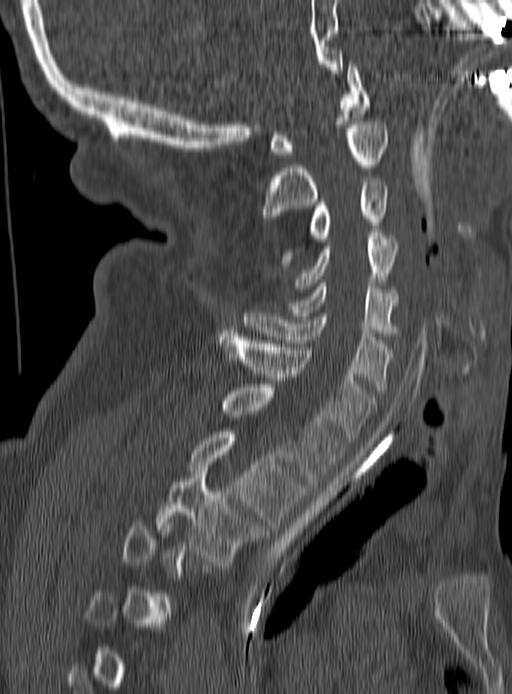 CT spine — sagittal reformat — Bone window (WL 400, WW 1800) — 512x694 px
Box values are [left, top, right, bottom] in pixels.
Not every vertebra on this slice has a box: a vertebra is boxed only from the first to the last slice where its cross-section is at least a third of its largest, and this slice is outside that range for at least one of them.
{"vertebrae":{"C1":[270,64,369,154],"C2":[262,121,388,221],"C3":[280,182,388,265],"C4":[295,232,399,289],"C5":[289,283,396,336],"C6":[243,310,393,390],"C7":[217,333,377,440],"T1":[222,384,342,484],"T2":[189,431,304,528],"T3":[157,472,264,565]}}